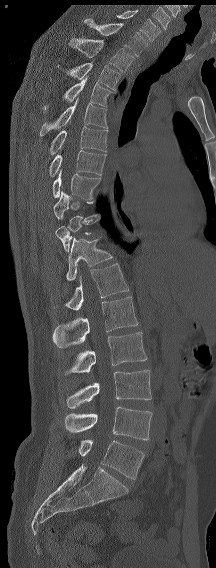
CT — sagittal reformat. Boxes: x1 y1 x2 y2 (pixel coords, space-separated).
Each vertebra is boxed only on the slices from the first to the last where its cross-section reaches a third of its largest, so a slice outside that range leaves it unboxed.
Labels in this scan begin with C7 at the top and end with L6 at the bottom.
In these labels the spine has an L6, a sixth lumbar vertebra below L5.
C7: 117 10 160 40
T1: 84 18 147 56
T2: 69 38 133 72
T3: 57 62 120 90
T4: 43 76 112 111
T5: 40 98 108 135
T6: 49 126 108 155
T7: 49 150 106 176
T8: 52 169 100 199
T11: 55 214 100 252
T12: 66 237 112 280
L1: 54 263 128 310
L2: 52 296 138 348
L3: 64 332 147 375
L4: 66 370 151 408
L5: 65 406 152 440
L6: 78 439 144 479